CT spine; sagittal plane, index 339; bone window
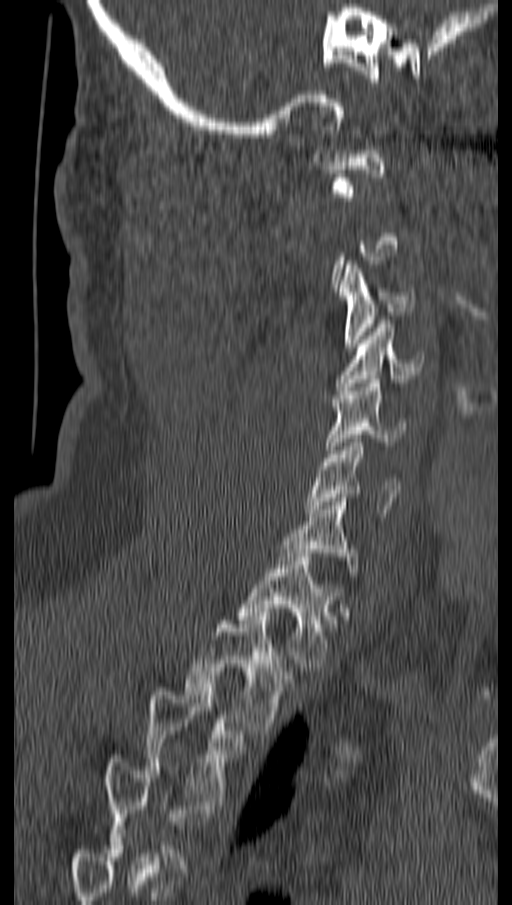

Columns x1, y1, x2, y2 give each box's top-left and bottom-right pixels.
A vertebra gets a box only on the slices from the first to the last where its cross-section is at least a third of its largest; on a slice outside that range it gets none.
| vertebra | x1 | y1 | x2 | y2 |
|---|---|---|---|---|
| C3 | 339 | 261 | 414 | 351 |
| C4 | 336 | 320 | 423 | 390 |
| C5 | 326 | 379 | 405 | 453 |
| C6 | 304 | 439 | 400 | 513 |
| T1 | 238 | 557 | 335 | 667 |
| T2 | 187 | 616 | 291 | 730 |
| T3 | 146 | 687 | 237 | 801 |